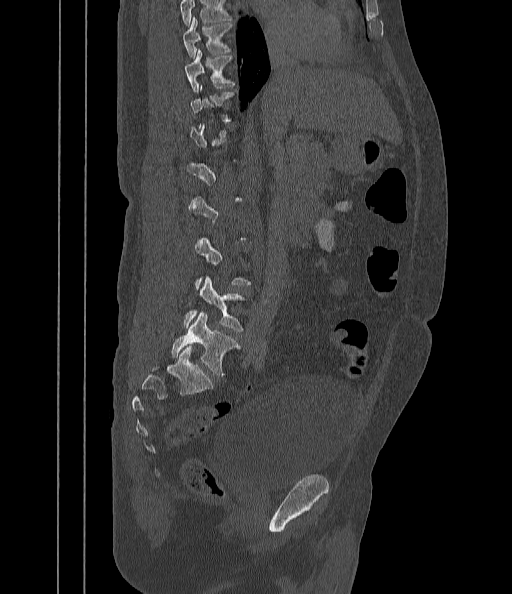

Spine computed tomography. sagittal view. the image spans 442 mm across

Boxes: x1 y1 x2 y2 (pixel coords, space-separated).
A vertebra gets a box only on the slices from the first to the last where its cross-section is at least a third of its largest; on a slice outside that range it gets none.
Where the top of the scan cuts through a vertebra, that vertebra gets no label or box.
T9: 183 17 233 58
T10: 185 50 235 91
L4: 183 276 246 331
L5: 171 313 240 376